Spine CT — sagittal reformat — 613x1182 px — 16 vertebrae labeled in this scan
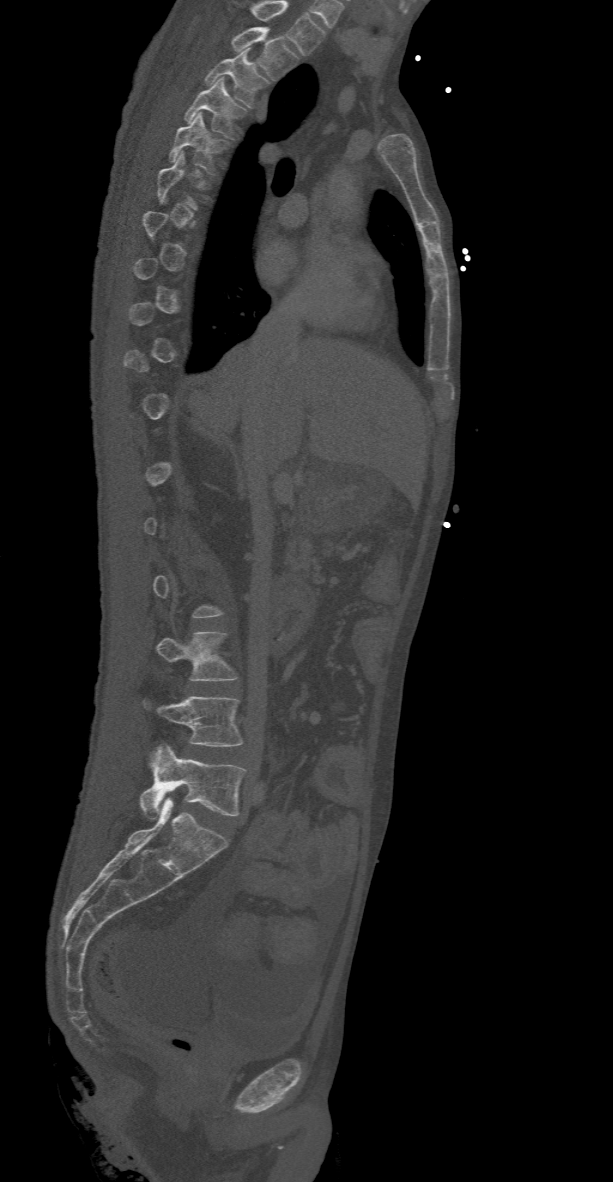

Coordinates as <box>x1,y1,x2,y2</box>. Each vertebra is boxed only on the slices from the first to the last where its cross-section reaches a third of its largest, so a slice outside that range leaves it unboxed. Labels in this scan begin with T2 at the top and end with L5 at the bottom. 7 vertebrae labeled — T2 at <box>231,27,298,80</box>; T3 at <box>205,49,269,108</box>; T4 at <box>184,77,246,139</box>; T5 at <box>169,112,228,174</box>; L3 at <box>157,632,237,681</box>; L4 at <box>143,696,242,746</box>; L5 at <box>140,744,246,818</box>.